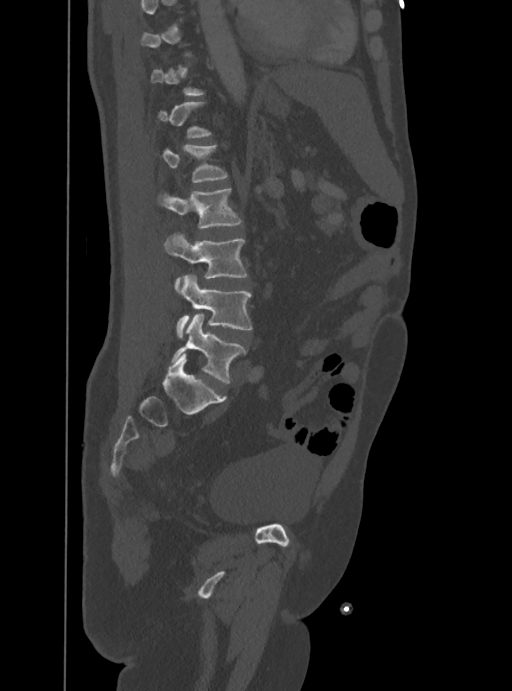

CT · sagittal view
Boxes below are [x1, y1, x2, y2] in pixels.
A vertebra gets a box only on the slices from the first to the last where its cross-section is at least a third of its largest; on a slice outside that range it gets none.
{"vertebrae":{"L1":[162,145,227,182],"L2":[158,189,240,228],"L3":[165,234,247,289],"L4":[177,274,252,336],"L5":[171,314,246,383]}}